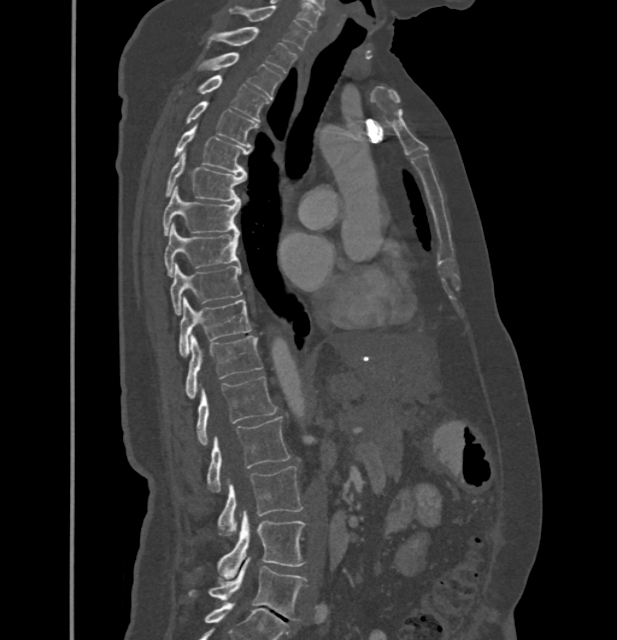
CT; sagittal reformat; 617x640 px

In these labels the thoracic vertebrae end at T11, so L1 follows T11.
<vertebrae><v name="L5" x1="188" y1="557" x2="306" y2="619"/><v name="L4" x1="217" y1="510" x2="305" y2="578"/><v name="L3" x1="217" y1="466" x2="303" y2="536"/><v name="L2" x1="207" y1="416" x2="288" y2="492"/><v name="L1" x1="196" y1="376" x2="276" y2="445"/><v name="T11" x1="186" y1="335" x2="262" y2="398"/><v name="T10" x1="178" y1="297" x2="250" y2="356"/><v name="T9" x1="170" y1="265" x2="241" y2="315"/><v name="T8" x1="164" y1="223" x2="239" y2="276"/><v name="T7" x1="163" y1="186" x2="240" y2="235"/><v name="T6" x1="165" y1="153" x2="244" y2="202"/><v name="T5" x1="174" y1="126" x2="249" y2="174"/><v name="T4" x1="186" y1="102" x2="257" y2="148"/><v name="T3" x1="196" y1="75" x2="268" y2="121"/><v name="T2" x1="199" y1="52" x2="282" y2="98"/><v name="T1" x1="207" y1="27" x2="296" y2="72"/><v name="C7" x1="230" y1="6" x2="310" y2="49"/></vertebrae>